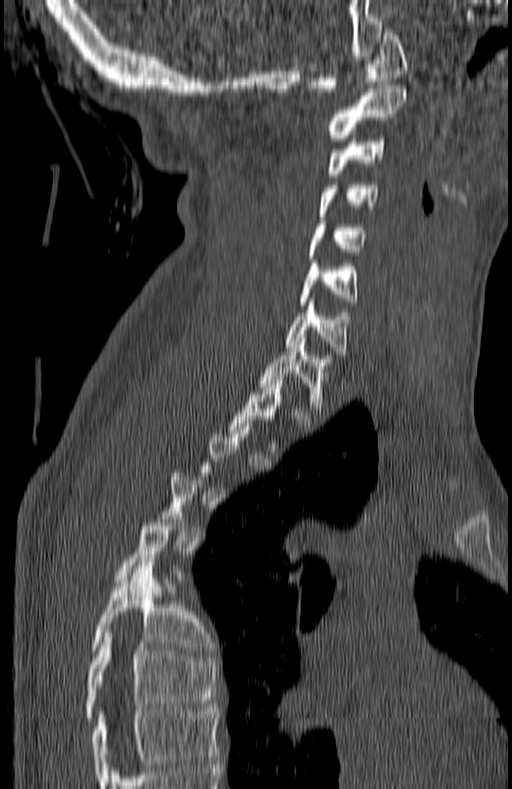

CT, spine — sagittal reformat — Bone window (WL 400, WW 1800)

Coordinates as <box>x1,y1,x2,y2</box>.
A vertebra is boxed only from the first to the last slice where its cross-section is at least a third of its largest; slices outside that range leave it without a box.
The highest labeled vertebra in this scan is C1; the lowest is T7.
Vertebra bounding boxes:
- T7: <box>86,629,218,721</box>
- T6: <box>92,562,208,653</box>
- T1: <box>260,334,331,411</box>
- C7: <box>285,302,347,355</box>
- C6: <box>300,260,358,305</box>
- C5: <box>308,220,367,259</box>
- C4: <box>319,181,378,216</box>
- C3: <box>328,139,384,177</box>
- C2: <box>328,85,407,141</box>
- C1: <box>310,28,407,91</box>